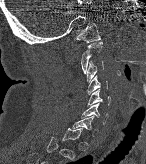

CT, spine. sagittal view. the image is 146 mm wide. Boxes are (x1, y1, x2, y2) in pixels.
A vertebra gets a box only on the slices from the first to the last where its cross-section is at least a third of its largest; on a slice outside that range it gets none.
C1: (75, 23, 101, 42)
C2: (81, 40, 102, 73)
C3: (85, 61, 104, 81)
C4: (87, 75, 107, 94)
C5: (87, 89, 111, 107)
C6: (81, 103, 107, 124)
C7: (73, 115, 96, 136)